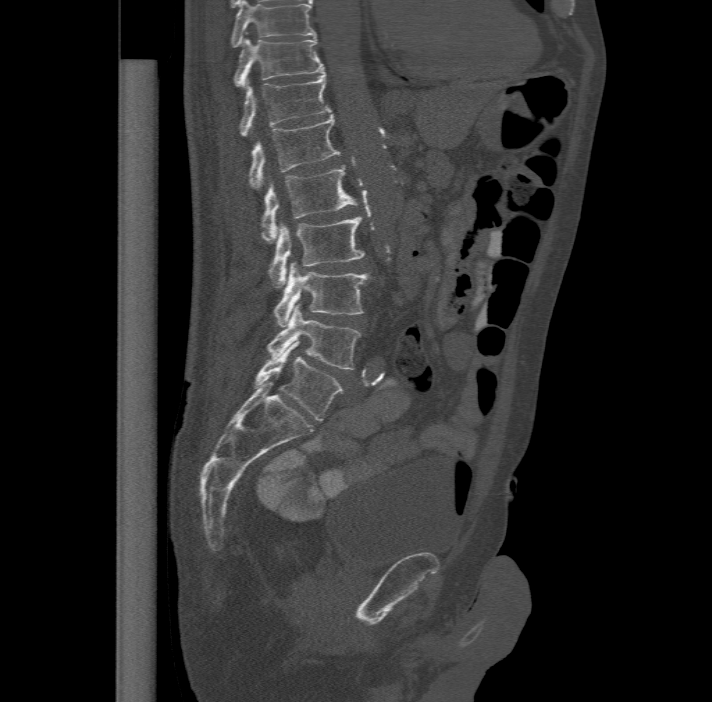

Spine computed tomography; sagittal view; bone-window reconstruction
Each box given as x1,y1,x2,y2. In this scan, the topmost labeled vertebra is T11 and the lowest is L6. The labels name a sixth lumbar vertebra for this spine: L6, after L5. Vertebrae labeled: T11 at x1=232, y1=37, x2=323, y2=85, T12 at x1=239, y1=71, x2=331, y2=135, L1 at x1=249, y1=113, x2=340, y2=187, L2 at x1=261, y1=164, x2=358, y2=241, L3 at x1=268, y1=215, x2=365, y2=287, L4 at x1=273, y1=262, x2=369, y2=326, L5 at x1=267, y1=304, x2=362, y2=370, L6 at x1=254, y1=341, x2=344, y2=421.